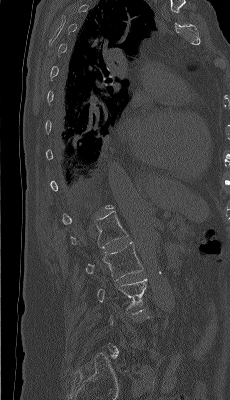 CT spine; sagittal view; Bone window (WL 400, WW 1800)
Box values are [left, top, right, bottom] in pixels.
A vertebra gets a box only on the slices from the first to the last where its cross-section is at least a third of its largest; on a slice outside that range it gets none.
{"vertebrae":{"L1":[71,210,128,249],"L2":[85,242,143,280],"L3":[97,278,147,313]}}